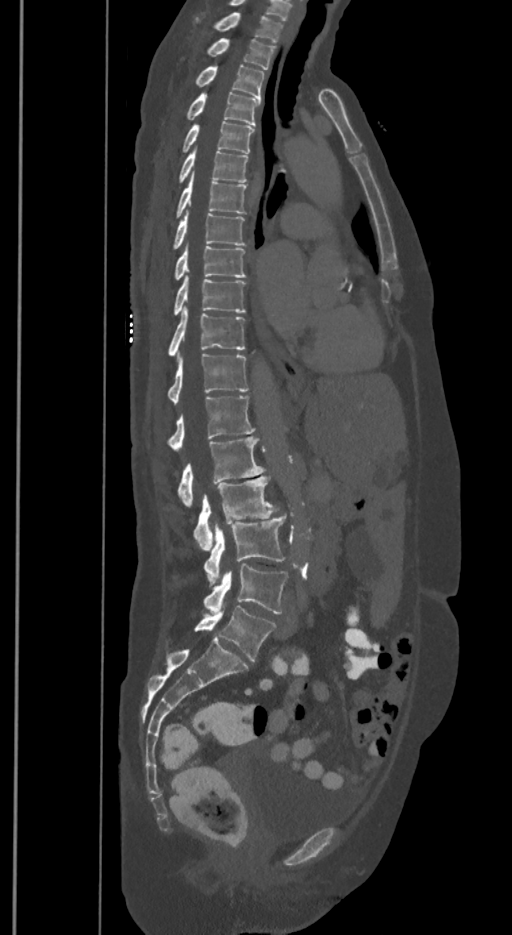 CT, spine. sagittal view
Each box is [x1, y1, x2, y2] in pixels: top-left corner, then bottom-right corner.
These labels give the spine a sixth lumbar vertebra, L6, below L5.
{"vertebrae":{"T1":[194,12,281,42],"T2":[206,38,275,69],"T3":[194,65,264,98],"T4":[186,92,259,125],"T5":[183,121,253,153],"T6":[178,147,247,182],"T7":[175,172,246,219],"T8":[172,213,245,249],"T9":[174,246,246,279],"T10":[174,276,245,315],"T11":[168,309,245,356],"T12":[168,354,247,403],"L1":[167,396,253,449],"L2":[177,436,264,506],"L3":[194,475,278,551],"L4":[203,515,285,586],"L5":[203,563,288,614],"L6":[194,606,275,661]}}